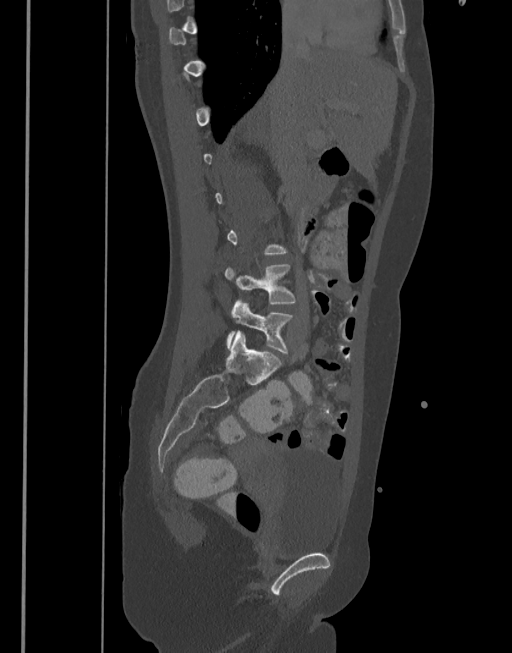
CT spine. sagittal reformat. image 377 mm wide. bone-window reconstruction
Boxes: x1 y1 x2 y2 (pixel coords, space-separated).
A vertebra gets a box only on the slices from the first to the last where its cross-section is at least a third of its largest; on a slice outside that range it gets none.
L4: 225 264 296 305
L5: 226 301 294 353